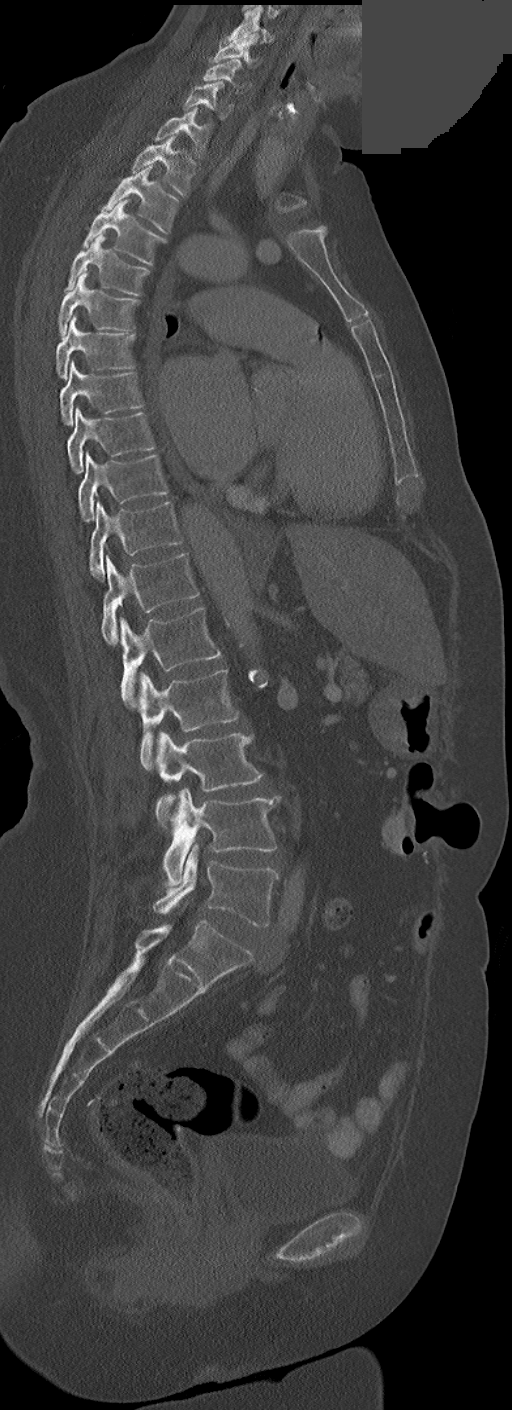
CT — sagittal view — a region is masked with a constant gray value

In these labels the thoracic vertebrae end at T11, so L1 follows T11.
<vertebrae><v name="C3" x1="222" y1="5" x2="274" y2="43"/><v name="C4" x1="213" y1="32" x2="259" y2="67"/><v name="C5" x1="204" y1="59" x2="247" y2="91"/><v name="C6" x1="183" y1="81" x2="231" y2="119"/><v name="C7" x1="155" y1="107" x2="211" y2="158"/><v name="T1" x1="131" y1="135" x2="195" y2="197"/><v name="T2" x1="103" y1="166" x2="178" y2="233"/><v name="T3" x1="84" y1="200" x2="164" y2="264"/><v name="T4" x1="64" y1="234" x2="150" y2="294"/><v name="T5" x1="57" y1="273" x2="138" y2="336"/><v name="T6" x1="55" y1="315" x2="136" y2="380"/><v name="T7" x1="59" y1="360" x2="142" y2="424"/><v name="T8" x1="68" y1="409" x2="154" y2="473"/><v name="T9" x1="78" y1="454" x2="168" y2="522"/><v name="T10" x1="90" y1="502" x2="180" y2="581"/><v name="T11" x1="100" y1="553" x2="199" y2="644"/><v name="L1" x1="120" y1="608" x2="221" y2="707"/><v name="L2" x1="139" y1="669" x2="239" y2="770"/><v name="L3" x1="155" y1="732" x2="262" y2="826"/><v name="L4" x1="163" y1="789" x2="280" y2="885"/><v name="L5" x1="153" y1="844" x2="278" y2="926"/></vertebrae>